CT, spine — Sagittal slice 178/380 — scan covers 18 annotated vertebrae
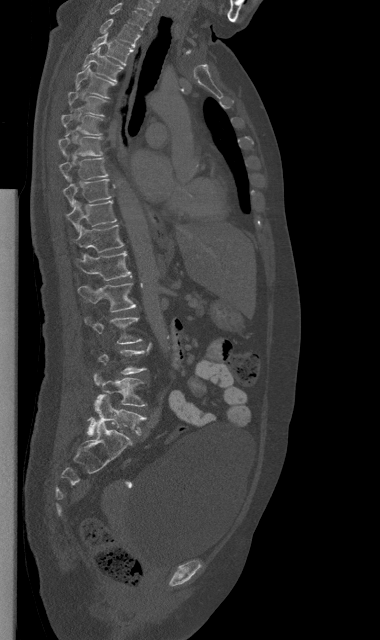 Boxes are (x1, y1, x2, y2) in pixels. Not every vertebra on this slice has a box: a vertebra is boxed only from the first to the last slice where its cross-section is at least a third of its largest, and this slice is outside that range for at least one of them. The labeled vertebrae in this slice are: L5 at (87, 394, 145, 435), L4 at (93, 373, 146, 406), L2 at (84, 317, 141, 343), L1 at (78, 283, 136, 312), T12 at (76, 251, 132, 281), T11 at (75, 225, 123, 252), T10 at (66, 201, 116, 231), T9 at (63, 178, 110, 207), T8 at (59, 157, 107, 180), T7 at (58, 137, 102, 156), T6 at (61, 114, 102, 136), T5 at (68, 92, 107, 115), T4 at (75, 65, 114, 97), T3 at (81, 47, 123, 82), T2 at (92, 33, 132, 65), T1 at (100, 19, 140, 47), C7 at (109, 2, 148, 29).